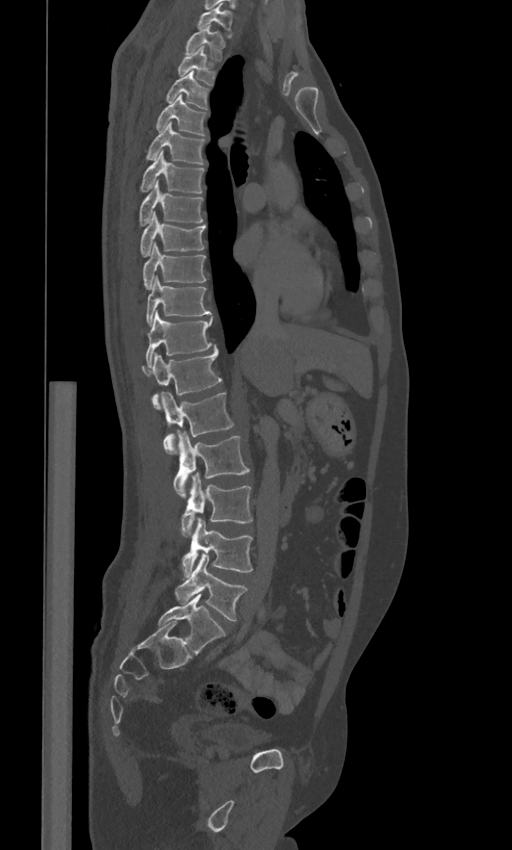

Spine CT. sagittal reformat. 512x850 px
Each box is [x1, y1, x2, y2] in pixels: top-left corner, then bottom-right corner.
The labels name a sixth lumbar vertebra for this spine: L6, after L5.
{"vertebrae":{"C7":[198,3,231,36],"T1":[185,25,225,60],"T2":[178,46,215,85],"T3":[166,71,209,109],"T4":[156,95,207,135],"T5":[147,123,206,164],"T6":[140,151,203,192],"T7":[139,181,202,226],"T8":[140,212,206,256],"T9":[143,243,206,289],"T10":[146,276,210,325],"T11":[146,312,212,366],"T12":[142,345,222,409],"L1":[162,392,234,453],"L2":[173,431,250,497],"L3":[181,473,252,536],"L4":[181,517,252,575],"L5":[174,553,247,621],"L6":[158,593,226,654]}}